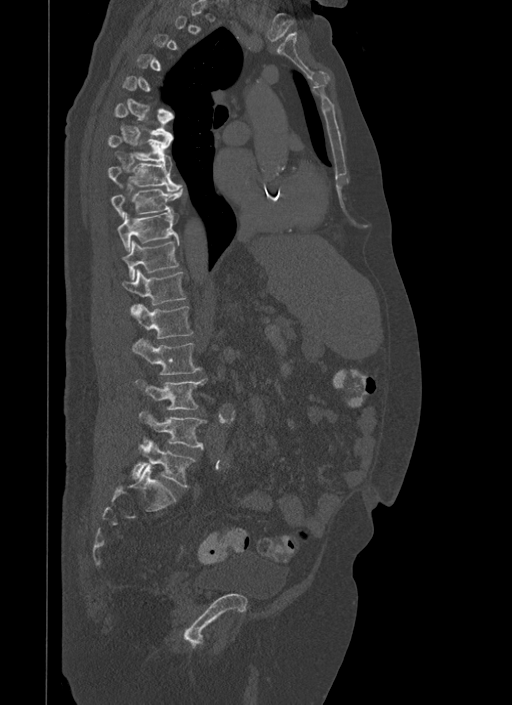

CT spine; 500 mm across the image; sagittal view; bone window; 512x705 px
Each vertebra is boxed only on the slices from the first to the last where its cross-section reaches a third of its largest, so a slice outside that range leaves it unboxed.
<vertebrae><v name="T6" x1="115" y1="103" x2="173" y2="139"/><v name="T7" x1="107" y1="135" x2="171" y2="165"/><v name="T8" x1="107" y1="163" x2="181" y2="190"/><v name="T9" x1="110" y1="187" x2="183" y2="217"/><v name="T10" x1="117" y1="210" x2="179" y2="251"/><v name="T11" x1="121" y1="240" x2="178" y2="280"/><v name="T12" x1="121" y1="269" x2="186" y2="305"/><v name="L1" x1="131" y1="304" x2="193" y2="338"/><v name="L2" x1="133" y1="339" x2="201" y2="374"/><v name="L3" x1="137" y1="378" x2="207" y2="410"/><v name="L4" x1="140" y1="412" x2="206" y2="449"/><v name="L5" x1="132" y1="440" x2="195" y2="486"/></vertebrae>